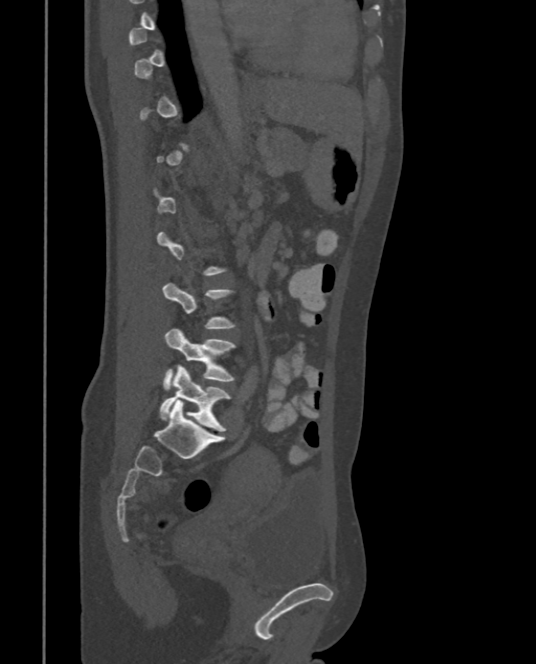

CT — sagittal view — Bone window (WL 400, WW 1800) — 536x664 px

Coordinates as <box>x1,y1,x2,y2</box>. Not every vertebra on this slice has a box: a vertebra is boxed only from the first to the last slice where its cross-section is at least a third of its largest, and this slice is outside that range for at least one of them. Vertebrae labeled: L5 at <box>160,366,230,430</box>, L4 at <box>163,328,235,390</box>.